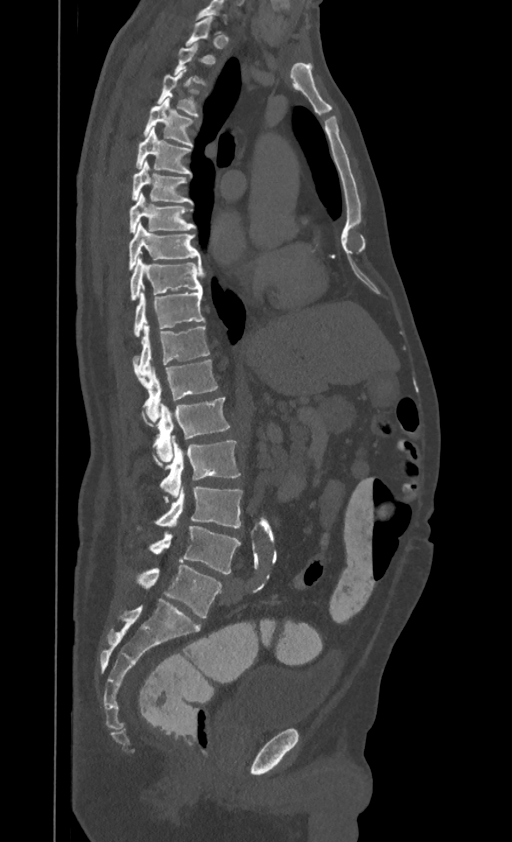
Computed tomography of the spine; sagittal view. Bounding boxes as [x1, y1, x2, y2] in pixel coordinates.
Not every vertebra on this slice has a box: a vertebra is boxed only from the first to the last slice where its cross-section is at least a third of its largest, and this slice is outside that range for at least one of them.
In this scan, the topmost labeled vertebra is T1 and the lowest is L4.
Vertebra bounding boxes:
- L4: [150, 526, 240, 574]
- L3: [155, 486, 243, 527]
- L2: [159, 441, 240, 498]
- L1: [153, 398, 230, 464]
- T12: [144, 360, 217, 425]
- T11: [133, 325, 209, 385]
- T10: [135, 290, 204, 336]
- T9: [131, 257, 205, 300]
- T8: [128, 223, 200, 270]
- T7: [129, 192, 195, 232]
- T6: [132, 161, 192, 203]
- T5: [136, 127, 191, 174]
- T4: [144, 97, 192, 145]
- T3: [158, 70, 197, 116]